CT spine — sagittal plane, index 273
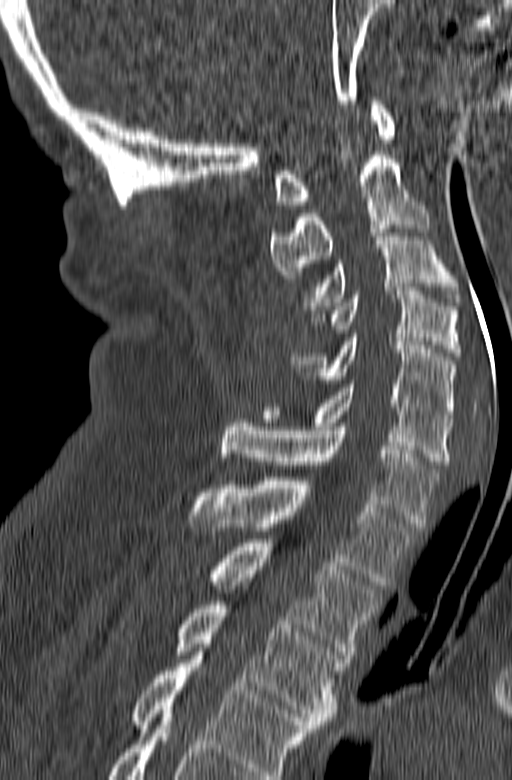
Coordinates as <box>x1,y1,x2,y2</box>.
This scan's labels start at C1 at the top and end at T3 at the bottom.
Vertebra bounding boxes:
- C1: <box>273,97,394,205</box>
- C2: <box>270,155,429,278</box>
- C3: <box>302,229,462,309</box>
- C4: <box>311,287,462,356</box>
- C5: <box>291,334,457,418</box>
- C6: <box>262,380,452,464</box>
- C7: <box>221,419,438,527</box>
- T1: <box>186,477,416,585</box>
- T2: <box>212,539,379,658</box>
- T3: <box>174,601,344,728</box>